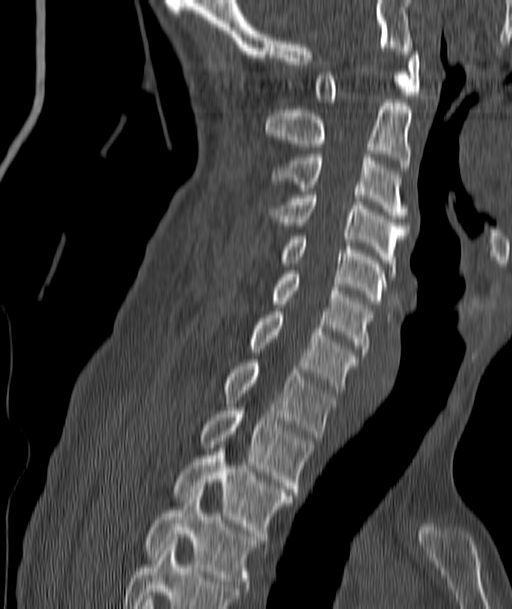

Computed tomography of the spine. sagittal view. bone-window reconstruction
Each box given as x1,y1,x2,y2.
Vertebra bounding boxes:
- T4: x1=143, y1=493, x2=260, y2=588
- T3: x1=173, y1=452, x2=293, y2=536
- T2: x1=201, y1=411, x2=312, y2=492
- T1: x1=223, y1=359, x2=337, y2=437
- C7: x1=250, y1=311, x2=359, y2=389
- C6: x1=272, y1=274, x2=372, y2=355
- C5: x1=277, y1=233, x2=386, y2=304
- C4: x1=269, y1=192, x2=408, y2=269
- C3: x1=272, y1=154, x2=408, y2=218
- C2: x1=266, y1=99, x2=411, y2=167
- C1: x1=316, y1=48, x2=419, y2=105